Spine CT — sagittal view — 512x820 px — scan covers 18 annotated vertebrae
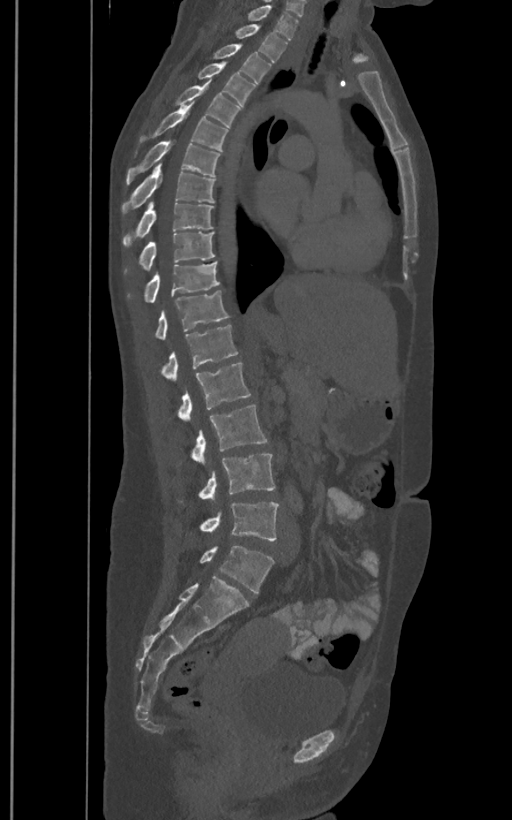 In these labels the spine has an L6, a sixth lumbar vertebra below L5.
<vertebrae><v name="L6" x1="200" y1="545" x2="274" y2="592"/><v name="L5" x1="200" y1="501" x2="279" y2="540"/><v name="L4" x1="198" y1="453" x2="275" y2="499"/><v name="L3" x1="191" y1="404" x2="268" y2="463"/><v name="L2" x1="178" y1="362" x2="250" y2="422"/><v name="L1" x1="161" y1="325" x2="237" y2="380"/><v name="T12" x1="155" y1="290" x2="229" y2="339"/><v name="T11" x1="128" y1="262" x2="219" y2="302"/><v name="T10" x1="124" y1="232" x2="215" y2="273"/><v name="T9" x1="123" y1="202" x2="214" y2="247"/><v name="T8" x1="121" y1="164" x2="215" y2="214"/><v name="T7" x1="125" y1="141" x2="219" y2="184"/><v name="T6" x1="139" y1="103" x2="228" y2="151"/><v name="T5" x1="175" y1="81" x2="239" y2="127"/><v name="T4" x1="197" y1="61" x2="255" y2="106"/><v name="T3" x1="214" y1="44" x2="270" y2="85"/><v name="T2" x1="235" y1="24" x2="287" y2="61"/><v name="T1" x1="248" y1="5" x2="298" y2="39"/></vertebrae>